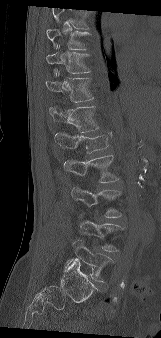
Computed tomography of the spine — sagittal view — 161x338 px
Box edges are left/top/right/bottom in pixels.
A vertebra cut off by the top edge of the scan is not labeled and has no box.
Vertebra bounding boxes:
- L5: left=63, top=239, right=113, bottom=282
- L4: left=78, top=213, right=124, bottom=251
- L3: left=71, top=186, right=122, bottom=217
- L2: left=63, top=154, right=119, bottom=183
- L1: left=55, top=131, right=112, bottom=153
- T12: left=49, top=106, right=99, bottom=132
- T11: left=46, top=71, right=94, bottom=102
- T10: left=46, top=45, right=91, bottom=76
- T9: left=46, top=29, right=91, bottom=50